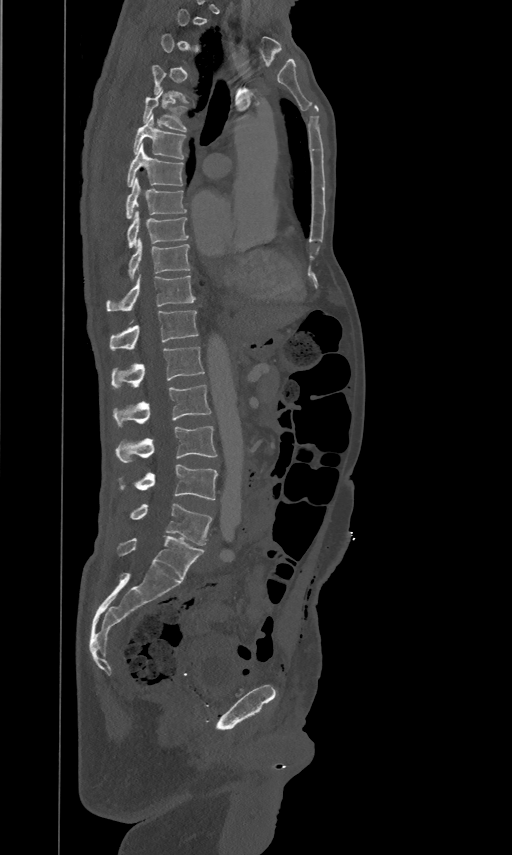
CT, spine · sagittal view · bone window
Each box given as x1,y1,x2,y2.
A vertebra gets a box only on the slices from the first to the last where its cross-section is at least a third of its largest; on a slice outside that range it gets none.
| vertebra | x1 | y1 | x2 | y2 |
|---|---|---|---|---|
| L5 | 130 | 504 | 212 | 545 |
| L4 | 118 | 465 | 217 | 500 |
| L3 | 116 | 425 | 217 | 463 |
| L2 | 112 | 384 | 211 | 427 |
| L1 | 111 | 345 | 204 | 388 |
| T12 | 110 | 310 | 198 | 349 |
| T11 | 107 | 273 | 195 | 310 |
| T10 | 129 | 237 | 190 | 278 |
| T9 | 128 | 210 | 188 | 246 |
| T8 | 127 | 177 | 186 | 218 |
| T7 | 128 | 142 | 182 | 185 |
| T6 | 134 | 114 | 185 | 158 |
| T5 | 143 | 90 | 186 | 130 |